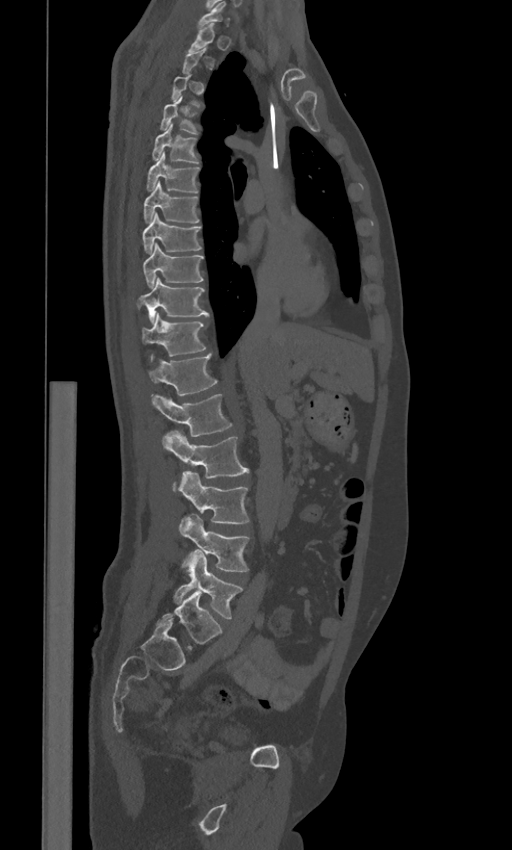

CT spine · the image is 443 mm wide · sagittal view
Boxes: x1 y1 x2 y2 (pixel coords, space-separated).
Not every vertebra on this slice has a box: a vertebra is boxed only from the first to the last slice where its cross-section is at least a third of its largest, and this slice is outside that range for at least one of them.
The labels name a sixth lumbar vertebra for this spine: L6, after L5.
C7: 198 1 229 27
T1: 188 24 215 51
T4: 159 97 198 133
T5: 151 123 199 163
T6: 146 152 200 192
T7: 143 181 199 223
T8: 142 213 201 253
T9: 143 243 203 287
T10: 136 277 209 321
T11: 141 312 206 356
T12: 148 354 217 395
L1: 151 394 232 436
L2: 162 431 249 492
L3: 178 471 250 523
L4: 179 514 249 571
L5: 173 550 243 619
L6: 157 591 221 648